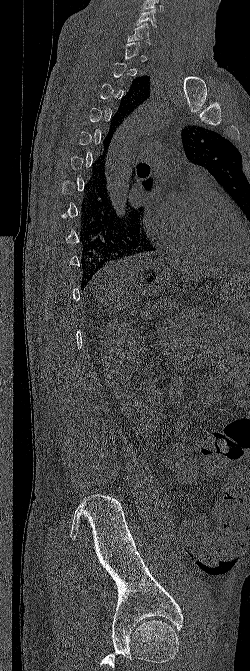
CT — sagittal view — bone window
Boxes: x1 y1 x2 y2 (pixel coords, space-separated). Not every vertebra on this slice has a box: a vertebra is boxed only from the first to the last slice where its cross-section is at least a third of its largest, and this slice is outside that range for at least one of them. 2 vertebrae labeled — C7 at 127 23 151 44; C6 at 135 9 157 28.